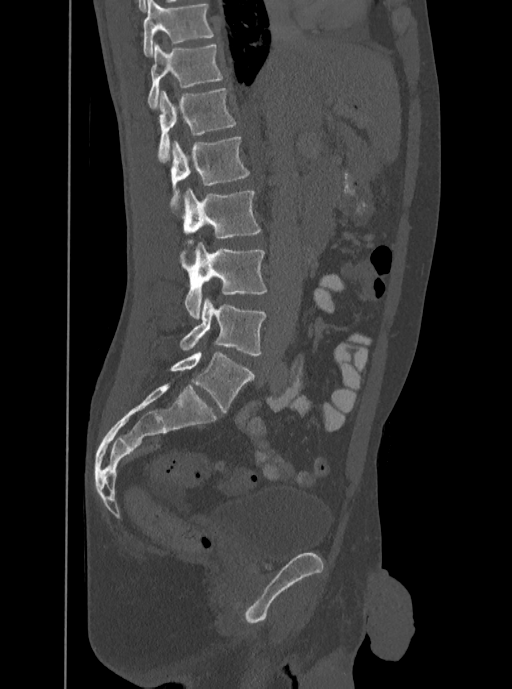
Spine CT; sagittal view; bone window
Boxes below are [x1, y1, x2, y2] in pixels.
The highest labeled vertebra in this scan is T12; the lowest is L5.
{"vertebrae":{"T12":[148,42,224,108],"L1":[157,88,237,162],"L2":[171,137,249,208],"L3":[181,188,261,243],"L4":[179,242,266,319],"L5":[180,296,266,356]}}